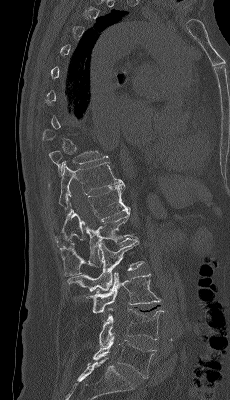

Spine computed tomography. sagittal reformat
Each vertebra is boxed only on the slices from the first to the last where its cross-section reaches a third of its largest, so a slice outside that range leaves it unboxed.
<vertebrae><v name="T10" x1="49" y1="151" x2="108" y2="174"/><v name="T11" x1="59" y1="161" x2="123" y2="208"/><v name="T12" x1="55" y1="183" x2="131" y2="246"/><v name="L1" x1="60" y1="211" x2="134" y2="276"/><v name="L2" x1="67" y1="238" x2="143" y2="291"/><v name="L3" x1="86" y1="272" x2="161" y2="312"/><v name="L4" x1="99" y1="308" x2="164" y2="345"/><v name="L5" x1="93" y1="335" x2="156" y2="377"/></vertebrae>